CT; sagittal reformat; bone-window reconstruction; 512x757 px
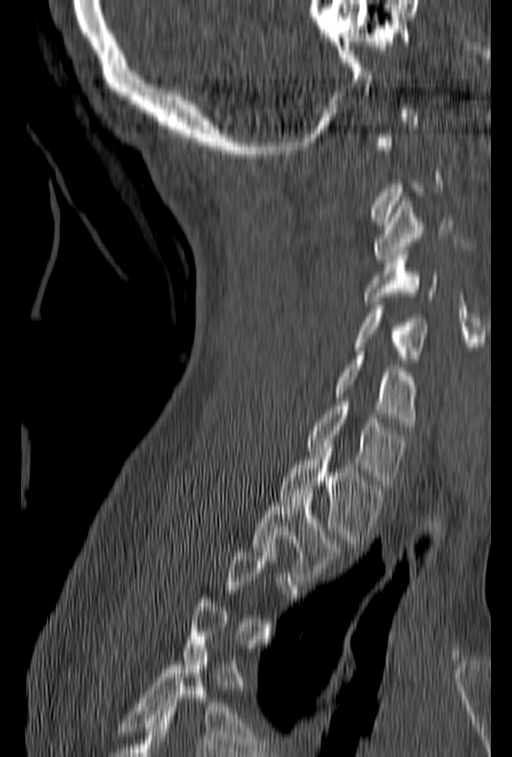

Coordinates as <box>x1,y1,x2,y2</box>.
Not every vertebra on this slice has a box: a vertebra is boxed only from the first to the last slice where its cross-section is at least a third of its largest, and this slice is outside that range for at least one of them.
Vertebra bounding boxes:
- C3: <box>373,197,459,263</box>
- C4: <box>363,247,439,304</box>
- C5: <box>353,301,429,367</box>
- C6: <box>332,347,419,430</box>
- C7: <box>306,397,408,488</box>
- T1: <box>278,452,385,547</box>
- T2: <box>252,489,345,580</box>